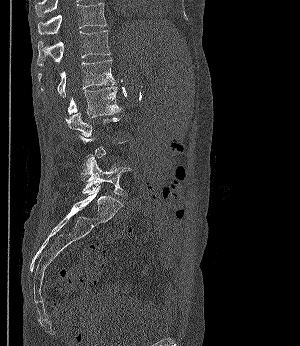
Spine computed tomography. sagittal view. Bone window (WL 400, WW 1800). 300x346 px. the image spans 300 mm across
Boxes below are [x1, y1, x2, y2] in pixels.
Each vertebra is boxed only on the slices from the first to the last where its cross-section reaches a third of its largest, so a slice outside that range leaves it unboxed.
{"vertebrae":{"T11":[38,3,106,34],"T12":[37,30,110,66],"L1":[38,59,114,97],"L2":[68,86,122,118],"L5":[82,155,132,195]}}